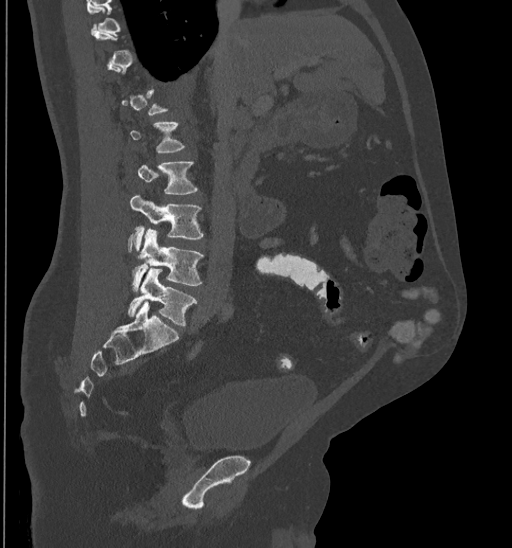
Spine CT. the image is 435 mm wide. sagittal view. bone-window reconstruction
A vertebra gets a box only on the slices from the first to the last where its cross-section is at least a third of its largest; on a slice outside that range it gets none.
<vertebrae><v name="L5" x1="128" y1="269" x2="197" y2="325"/><v name="L4" x1="132" y1="229" x2="204" y2="292"/><v name="L3" x1="128" y1="194" x2="204" y2="251"/><v name="L2" x1="138" y1="162" x2="198" y2="194"/></vertebrae>